CT spine — sagittal reformat — scan covers 11 annotated vertebrae
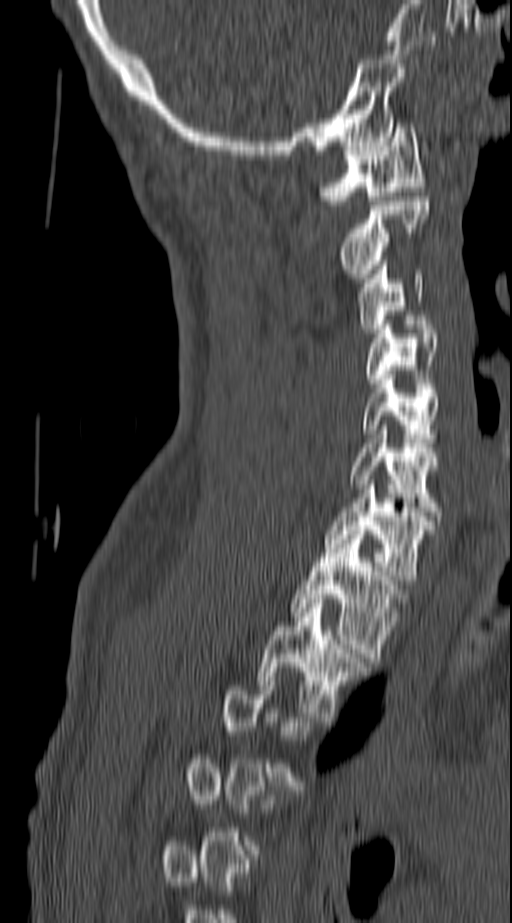

Each vertebra is boxed only on the slices from the first to the last where its cross-section reaches a third of its largest, so a slice outside that range leaves it unboxed.
<vertebrae><v name="C1" x1="320" y1="123" x2="425" y2="205"/><v name="C2" x1="338" y1="197" x2="428" y2="278"/><v name="C3" x1="357" y1="256" x2="425" y2="333"/><v name="C4" x1="367" y1="325" x2="439" y2="383"/><v name="C5" x1="363" y1="379" x2="441" y2="442"/><v name="C6" x1="349" y1="425" x2="443" y2="520"/><v name="C7" x1="323" y1="485" x2="436" y2="584"/><v name="T1" x1="290" y1="530" x2="403" y2="662"/><v name="T2" x1="257" y1="599" x2="370" y2="721"/></vertebrae>